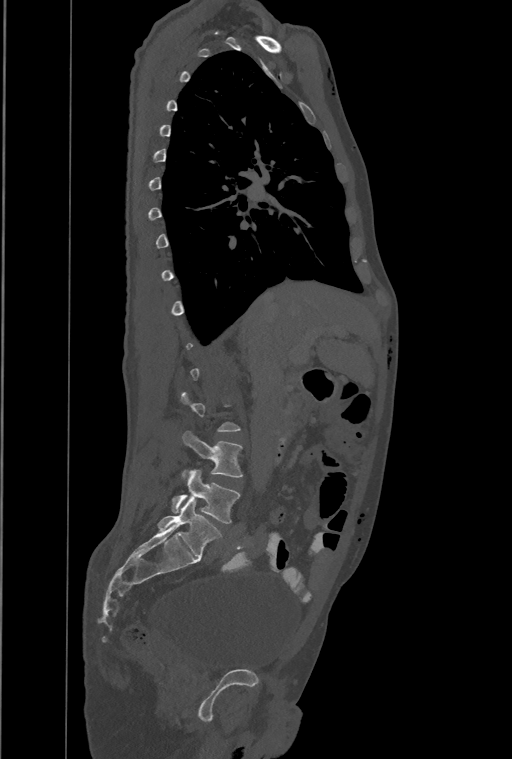 CT spine. sagittal reformat. Bone window (WL 400, WW 1800)
Boxes are given in columns x1, y1, x2, y2, the pixel coordinates of their top-left and bottom-right corners.
A vertebra is boxed only from the first to the last slice where its cross-section is at least a third of its largest; slices outside that range leave it without a box.
Labels in this scan begin with T1 at the top and end with L4 at the bottom.
| vertebra | x1 | y1 | x2 | y2 |
|---|---|---|---|---|
| L3 | 183 | 431 | 242 | 477 |
| L4 | 172 | 469 | 239 | 523 |